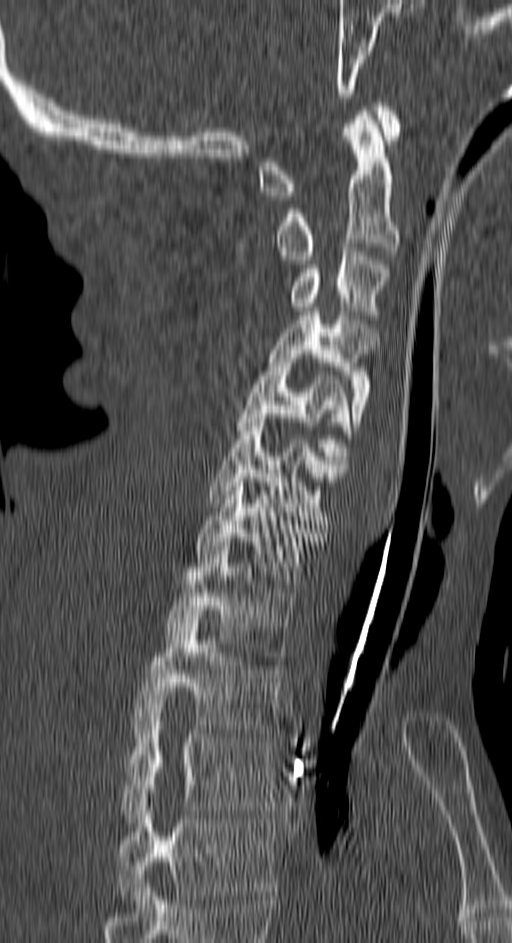
Spine computed tomography — 150 mm wide — sagittal view

Each vertebra maps to its box as [x1, y1, x2, y2], the pixel coordinates of its top-left and bottom-right corners.
In this scan, the topmost labeled vertebra is C1 and the lowest is T4.
{"vertebrae":{"C1":[257,102,400,200],"C2":[274,111,400,259],"C3":[288,247,389,319],"C4":[269,311,379,430],"C5":[235,354,350,468],"C6":[209,418,345,524],"C7":[196,474,321,588],"T1":[165,546,295,660],"T2":[134,619,282,733],"T3":[121,717,277,822],"T4":[117,794,277,904]}}